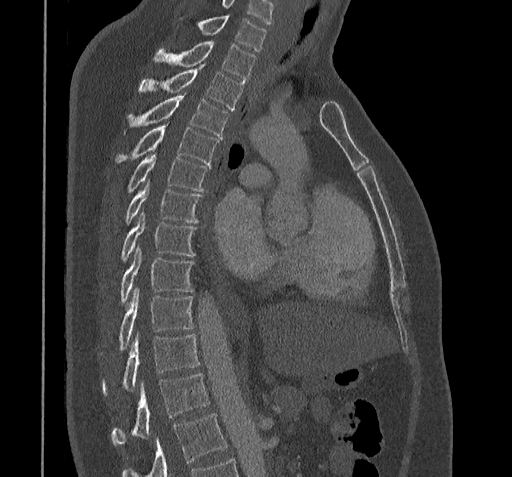
Spine computed tomography — sagittal view. Box edges are left/top/right/bottom in pixels. Where the bottom of the scan cuts through a vertebra, that vertebra gets no label or box. Labels in this scan begin with C7 at the top and end with T11 at the bottom. Vertebrae labeled: C7 at left=179, top=16, right=266, bottom=51, T1 at left=154, top=42, right=256, bottom=81, T2 at left=138, top=67, right=244, bottom=109, T3 at left=124, top=94, right=228, bottom=138, T4 at left=114, top=125, right=218, bottom=165, T5 at left=125, top=156, right=209, bottom=192, T6 at left=124, top=183, right=201, bottom=224, T7 at left=121, top=215, right=197, bottom=262, T8 at left=119, top=248, right=194, bottom=305, T9 at left=98, top=289, right=194, bottom=358, T10 at left=101, top=333, right=199, bottom=395, T11 at left=111, top=374, right=209, bottom=445.